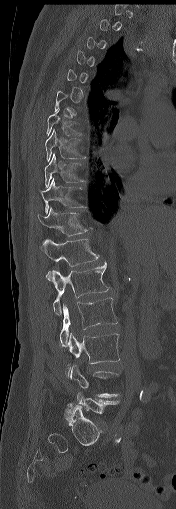

Spine computed tomography — sagittal view — bone-window reconstruction. Each box given as x1,y1,x2,y2.
Not every vertebra on this slice has a box: a vertebra is boxed only from the first to the last slice where its cross-section is at least a third of its largest, and this slice is outside that range for at least one of them.
| vertebra | x1 | y1 | x2 | y2 |
|---|---|---|---|---|
| T7 | 46 | 109 | 84 | 135 |
| T8 | 45 | 129 | 86 | 161 |
| T9 | 44 | 153 | 84 | 187 |
| T10 | 41 | 178 | 86 | 213 |
| T11 | 38 | 207 | 87 | 235 |
| T12 | 40 | 239 | 99 | 280 |
| L1 | 52 | 260 | 109 | 314 |
| L2 | 60 | 297 | 117 | 346 |
| L3 | 65 | 333 | 119 | 378 |
| L5 | 77 | 390 | 119 | 413 |